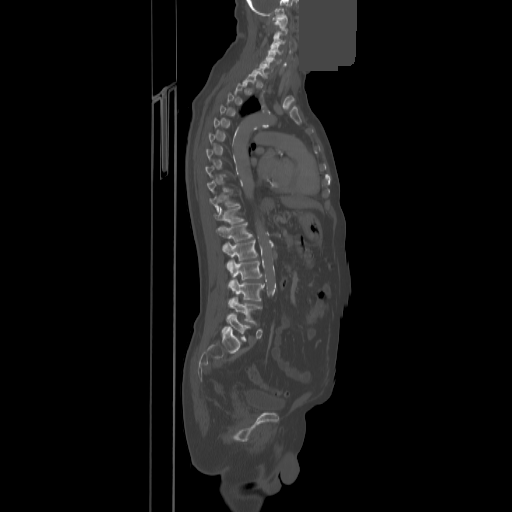

Computed tomography of the spine; sagittal view; 858 mm image width; W/L 1800/400 HU; a region of this slice is masked with a uniform fill. Each box given as x1,y1,x2,y2.
A vertebra is boxed only from the first to the last slice where its cross-section is at least a third of its largest; slices outside that range leave it without a box.
L5: x1=222, y1=314, x2=249, y2=341
L4: x1=229, y1=297, x2=261, y2=322
L3: x1=229, y1=279, x2=264, y2=301
L2: x1=227, y1=260, x2=262, y2=280
L1: x1=222, y1=240, x2=257, y2=260
T12: x1=216, y1=222, x2=252, y2=242
T11: x1=214, y1=206, x2=243, y2=223
T10: x1=209, y1=195, x2=237, y2=212
C7: x1=252, y1=66, x2=267, y2=77
C6: x1=260, y1=60, x2=272, y2=71
C5: x1=265, y1=52, x2=280, y2=64
C4: x1=268, y1=44, x2=282, y2=54
C3: x1=271, y1=35, x2=285, y2=45
C1: x1=273, y1=16, x2=287, y2=27